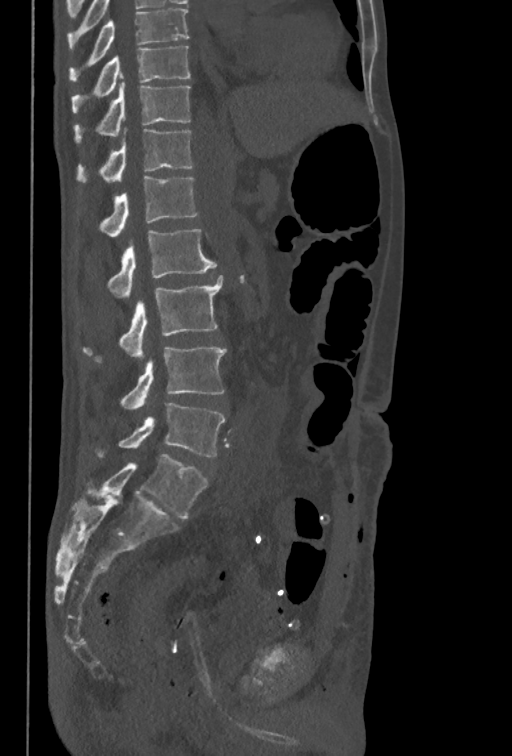

Computed tomography of the spine; sagittal view; 350 mm across the image. Boxes: x1:y1:x2:y2 in pixels. Labels in this scan begin with T10 at the top and end with L5 at the bottom. Vertebrae labeled: T10 at 71:46:190:112, T11 at 74:82:190:143, T12 at 76:128:192:182, L1 at 101:176:198:236, L2 at 108:229:217:298, L3 at 83:275:223:361, L4 at 120:346:226:410, L5 at 98:403:226:457.